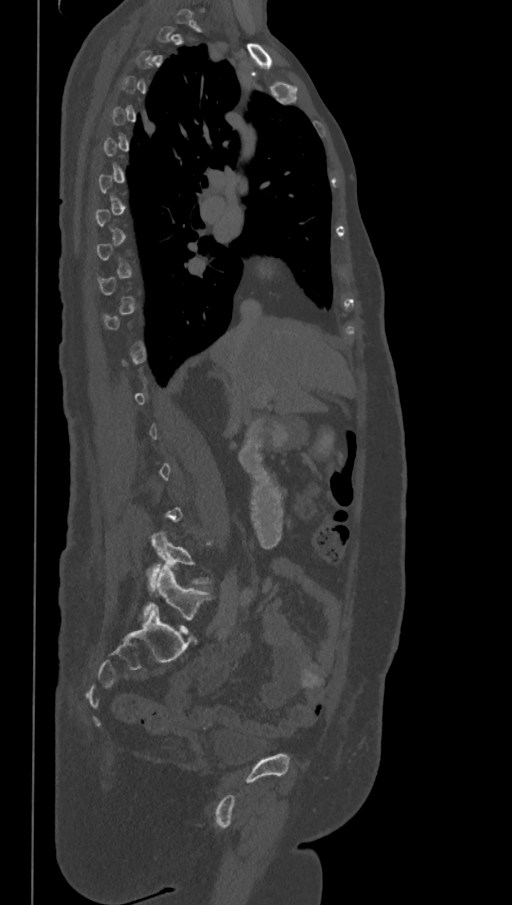
Spine CT · the image spans 368 mm across · sagittal reformat · W/L 1800/400 HU
Boxes: x1:y1:x2:y2 in pixels.
A vertebra is boxed only from the first to the last slice where its cross-section is at least a third of its largest; slices outside that range leave it without a box.
In these labels the spine has an L6, a sixth lumbar vertebra below L5.
Vertebra bounding boxes:
- L6: 142:565:209:619
- L5: 147:532:209:583